CT, spine · sagittal view · bone window · 512x850 px
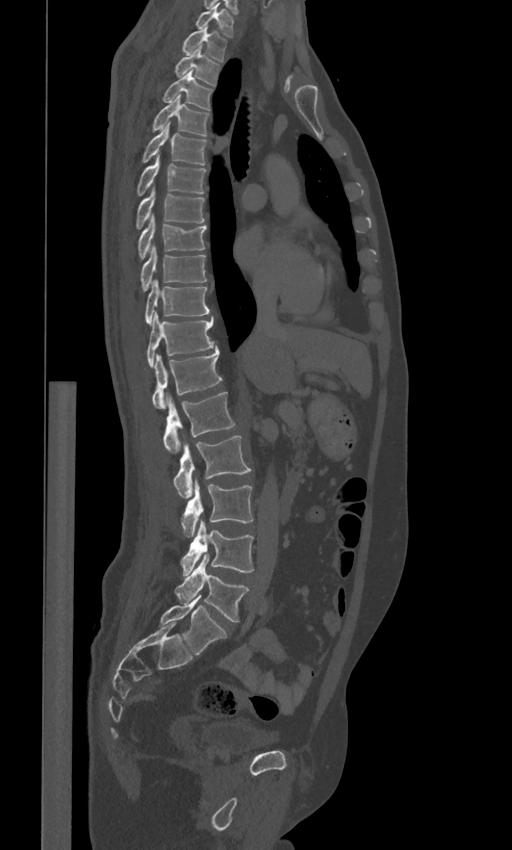

Box values are [left, top, right, bottom] in pixels.
These labels give the spine a sixth lumbar vertebra, L6, below L5.
{"vertebrae":{"L6":[160,595,227,654],"L5":[174,555,249,621],"L4":[180,518,253,575],"L3":[181,482,253,537],"L2":[173,436,251,497],"L1":[163,392,235,453],"T12":[151,346,222,408],"T11":[147,312,213,367],"T10":[144,280,209,322],"T9":[140,247,207,291],"T8":[137,215,206,259],"T7":[135,187,205,228],"T6":[136,156,206,196],"T5":[141,123,208,164],"T4":[151,94,210,135],"T3":[162,70,213,110],"T2":[173,46,220,85],"T1":[182,27,227,61],"C7":[195,3,235,37]}}